CT spine — sagittal plane, index 116
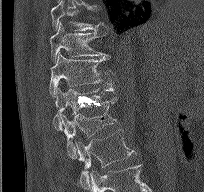 Bounding boxes as [x1, y1, x2, y2] in pixel coordinates.
Vertebra bounding boxes:
- L2: [75, 129, 135, 185]
- L1: [61, 97, 117, 159]
- T12: [52, 82, 115, 131]
- T11: [49, 52, 112, 96]
- T10: [50, 22, 107, 63]
- T9: [51, 0, 107, 32]